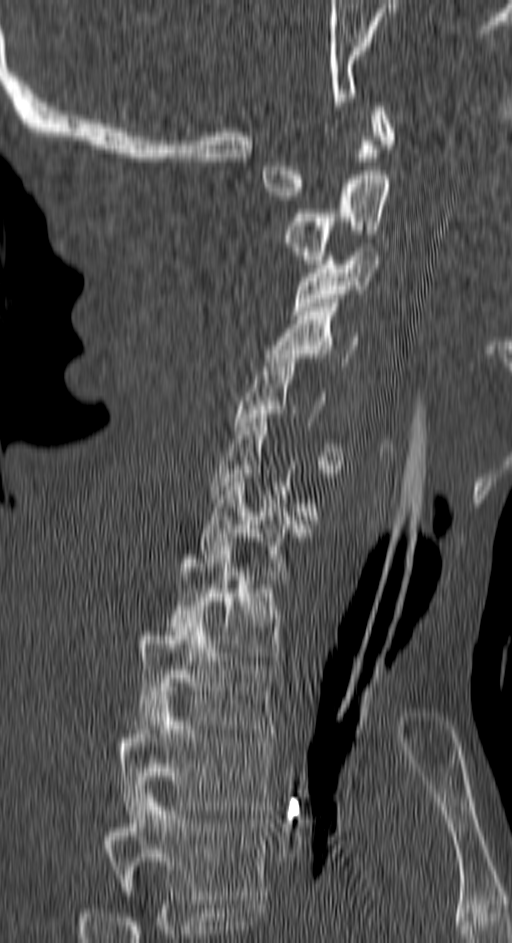 CT, spine. sagittal view. the image spans 150 mm across. bone window
Each vertebra maps to its box as [x1, y1, x2, y2], the pixel coordinates of its top-left and bottom-right corners.
Each vertebra is boxed only on the slices from the first to the last where its cross-section reaches a third of its largest, so a slice outside that range leaves it unboxed.
In this scan, the topmost labeled vertebra is C1 and the lowest is T4.
{"vertebrae":{"C1":[261,102,393,200],"C2":[285,166,389,264],"C3":[292,247,379,319],"C4":[266,303,362,366],"C5":[235,354,345,473],"C7":[199,474,311,588],"T1":[168,542,280,660],"T2":[137,614,276,733],"T3":[121,691,273,814],"T4":[107,789,266,899]}}